Spine CT · sagittal plane, index 280
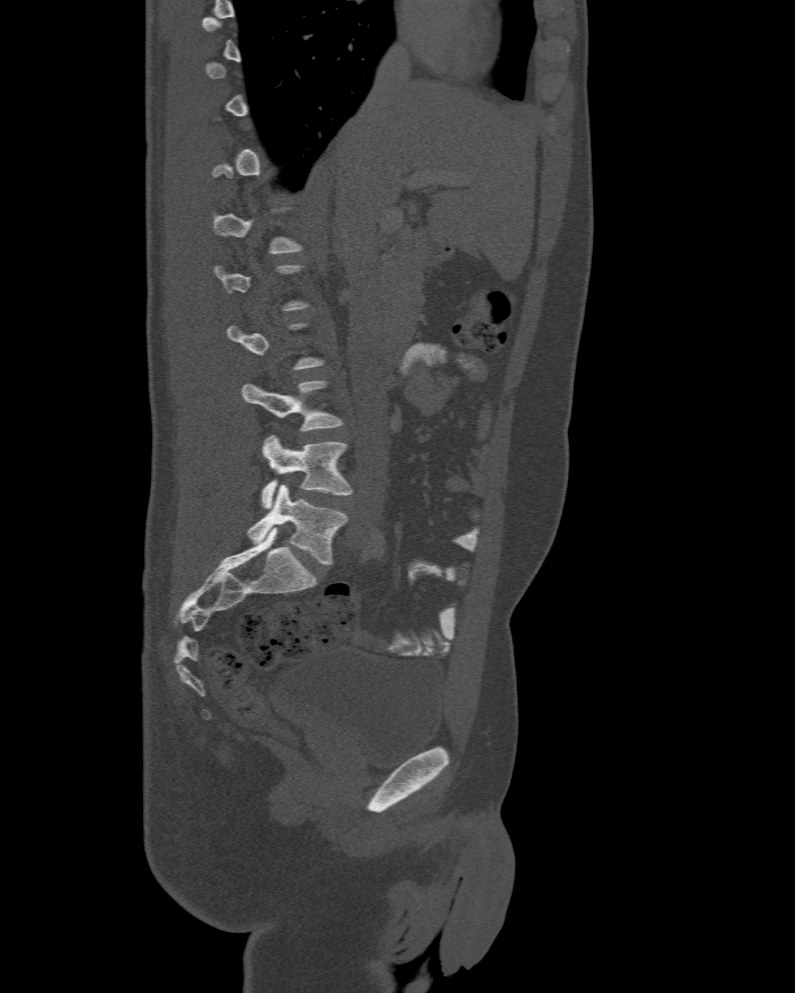
Boxes: x1 y1 x2 y2 (pixel coords, space-separated). A vertebra gets a box only on the slices from the first to the last where its cross-section is at least a third of its largest; on a slice outside that range it gets none. In these labels the spine has an L6, a sixth lumbar vertebra below L5. The labeled vertebrae in this slice are: L4 at 242 380 342 431, L5 at 261 435 353 508, L6 at 247 485 347 564.